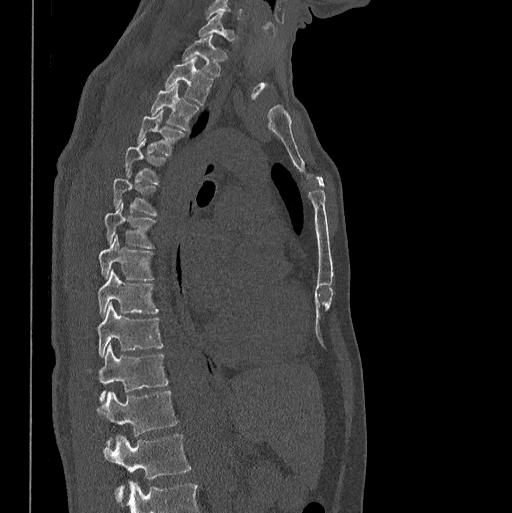 CT spine · sagittal view · Bone window (WL 400, WW 1800) · image 398 mm wide
<vertebrae><v name="L1" x1="103" y1="434" x2="191" y2="503"/><v name="T12" x1="98" y1="390" x2="178" y2="445"/><v name="T11" x1="99" y1="344" x2="167" y2="401"/><v name="T10" x1="98" y1="302" x2="162" y2="357"/><v name="T9" x1="98" y1="270" x2="158" y2="316"/><v name="T8" x1="99" y1="235" x2="153" y2="280"/><v name="T7" x1="104" y1="201" x2="156" y2="248"/><v name="T6" x1="113" y1="173" x2="157" y2="216"/><v name="T5" x1="125" y1="139" x2="165" y2="184"/><v name="T4" x1="138" y1="110" x2="184" y2="155"/><v name="T3" x1="150" y1="83" x2="198" y2="130"/><v name="T2" x1="165" y1="58" x2="213" y2="106"/><v name="T1" x1="183" y1="35" x2="225" y2="75"/><v name="C7" x1="198" y1="12" x2="234" y2="41"/></vertebrae>